Computed tomography of the spine — Sagittal slice 302/619 — bone-window reconstruction — image width 342 mm
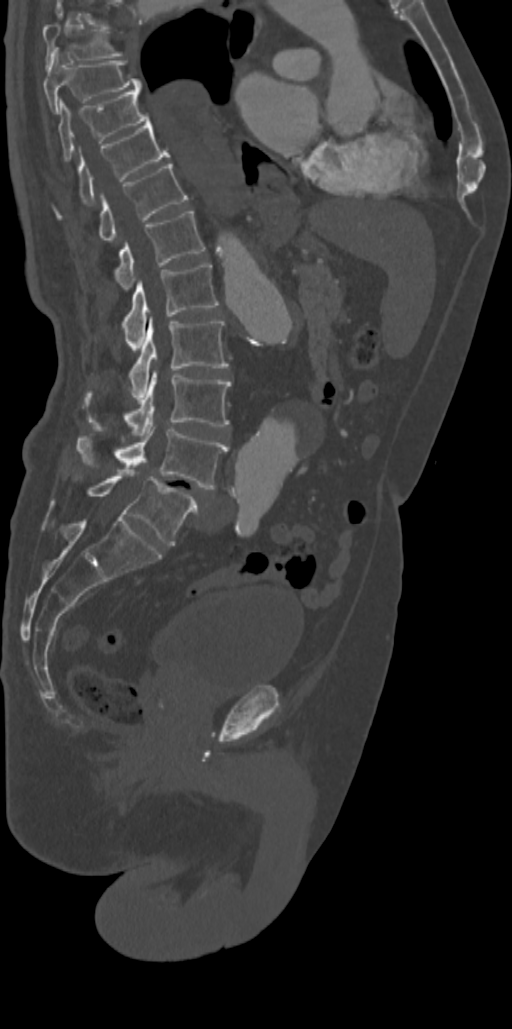 Box edges are left/top/right/bottom in pixels.
The highest labeled vertebra in this scan is T7; the lowest is L5.
| vertebra | x1 | y1 | x2 | y2 |
|---|---|---|---|---|
| T7 | 42 | 22 | 122 | 66 |
| T8 | 43 | 54 | 140 | 111 |
| T9 | 58 | 90 | 149 | 161 |
| T10 | 56 | 121 | 170 | 217 |
| T11 | 99 | 162 | 187 | 242 |
| T12 | 115 | 211 | 205 | 291 |
| L1 | 121 | 263 | 219 | 345 |
| L2 | 129 | 317 | 229 | 399 |
| L3 | 90 | 371 | 231 | 435 |
| L4 | 76 | 425 | 228 | 489 |
| L5 | 88 | 470 | 198 | 545 |